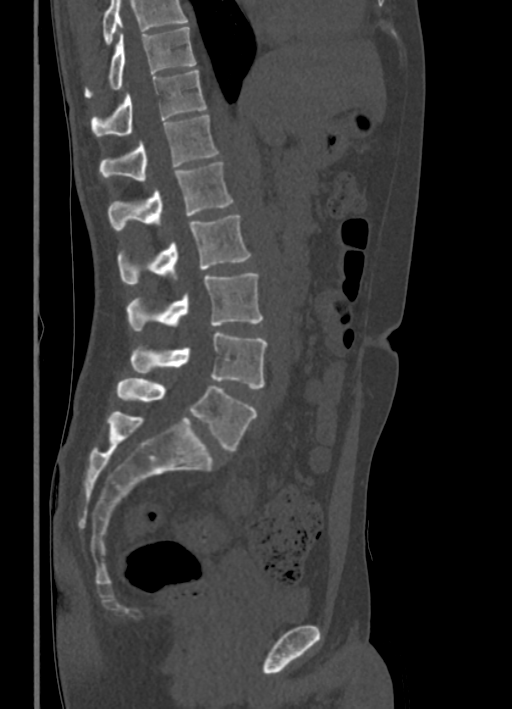 Spine computed tomography · sagittal reformat · bone-window reconstruction · the image is 336 mm wide

Box edges are left/top/right/bottom in pixels.
A vertebra cut off by the top edge of the scan is not labeled and has no box.
| vertebra | x1 | y1 | x2 | y2 |
|---|---|---|---|---|
| T10 | 84 | 27 | 195 | 98 |
| T11 | 91 | 70 | 206 | 136 |
| T12 | 99 | 115 | 218 | 181 |
| L1 | 108 | 161 | 233 | 231 |
| L2 | 117 | 215 | 250 | 284 |
| L3 | 126 | 273 | 262 | 330 |
| L4 | 131 | 332 | 267 | 389 |
| L5 | 117 | 378 | 256 | 451 |